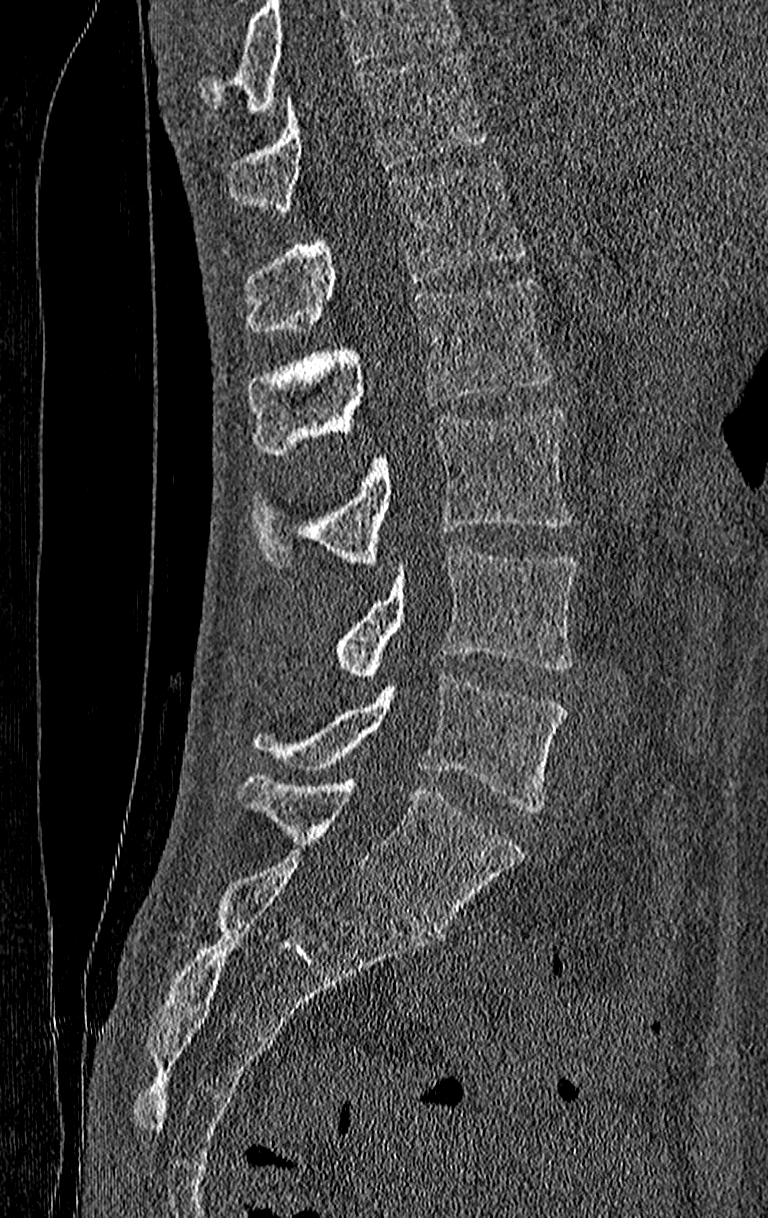

CT — sagittal view — bone-window reconstruction

No box is given to a vertebra that the top edge of the scan cuts off.
The highest labeled vertebra in this scan is T11; the lowest is L4.
<vertebrae><v name="L4" x1="255" y1="673" x2="565" y2="812"/><v name="L3" x1="335" y1="546" x2="575" y2="677"/><v name="L2" x1="251" y1="410" x2="575" y2="567"/><v name="L1" x1="247" y1="278" x2="554" y2="453"/><v name="T12" x1="244" y1="158" x2="524" y2="333"/><v name="T11" x1="229" y1="53" x2="488" y2="211"/></vertebrae>